CT spine — sagittal view — W/L 1800/400 HU
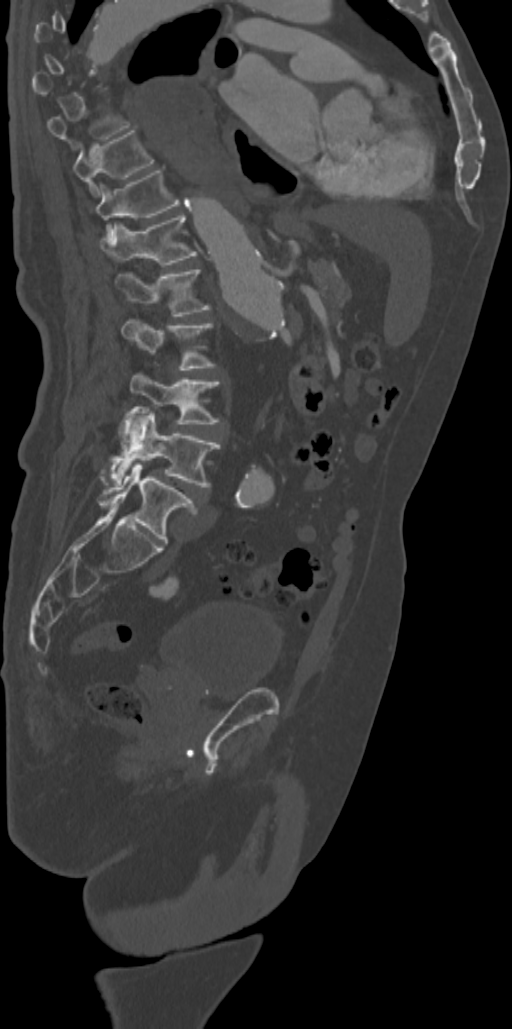 Bounding boxes as [x1, y1, x2, y2] in pixel coordinates. A vertebra is boxed only from the first to the last slice where its cross-section is at least a third of its largest; slices outside that range leave it without a box. Vertebrae labeled: T9 at [48, 112, 129, 147], T10 at [73, 130, 155, 197], T11 at [96, 168, 180, 242], T12 at [102, 216, 196, 264], L1 at [115, 270, 210, 316], L2 at [121, 319, 216, 370], L3 at [130, 371, 220, 439], L4 at [102, 411, 220, 486], L5 at [97, 463, 198, 543].